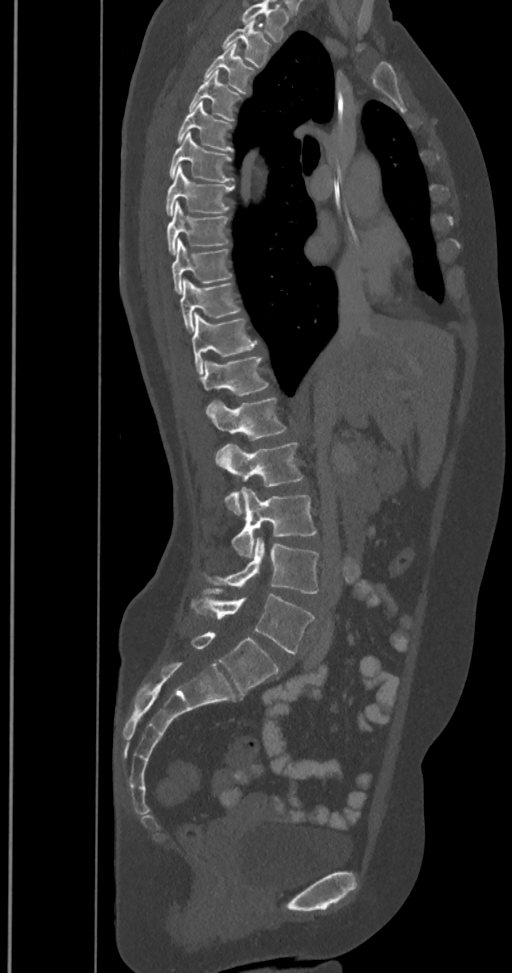
Spine CT; sagittal view; bone-window reconstruction; 512x973 px

In the table, x1 and y1 are a box's top-left corner and x2 and y2 its bottom-right corner, in pixels.
Labels in this scan begin with T2 at the top and end with L6 at the bottom.
The labels name a sixth lumbar vertebra for this spine: L6, after L5.
| vertebra | x1 | y1 | x2 | y2 |
|---|---|---|---|---|
| T2 | 222 | 21 | 269 | 66 |
| T3 | 205 | 45 | 253 | 92 |
| T4 | 188 | 71 | 240 | 120 |
| T5 | 177 | 101 | 231 | 152 |
| T6 | 169 | 132 | 231 | 182 |
| T7 | 165 | 162 | 233 | 216 |
| T8 | 167 | 203 | 228 | 252 |
| T9 | 171 | 238 | 231 | 294 |
| T10 | 180 | 278 | 240 | 332 |
| T11 | 191 | 312 | 258 | 373 |
| T12 | 199 | 357 | 268 | 412 |
| L1 | 207 | 398 | 285 | 440 |
| L2 | 215 | 442 | 303 | 514 |
| L3 | 232 | 487 | 316 | 559 |
| L4 | 207 | 537 | 319 | 593 |
| L5 | 191 | 590 | 315 | 653 |
| L6 | 191 | 632 | 280 | 694 |